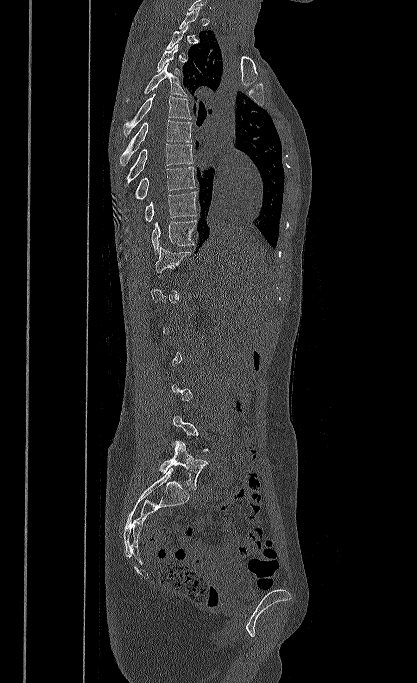
Spine computed tomography. sagittal view. bone window. 417x683 px. Coordinates as <box>x1,y1,x2,y2</box>.
A vertebra is boxed only from the first to the last slice where its cross-section is at least a third of its largest; slices outside that range leave it without a box.
T3: <box>157,44,179,73</box>
T4: <box>126,63,186,101</box>
T5: <box>124,90,191,136</box>
T6: <box>120,120,192,165</box>
T7: <box>124,143,193,187</box>
T8: <box>134,167,195,199</box>
T9: <box>145,191,197,221</box>
T10: <box>151,220,197,251</box>
T11: <box>155,246,192,278</box>
L5: <box>159,441,207,489</box>